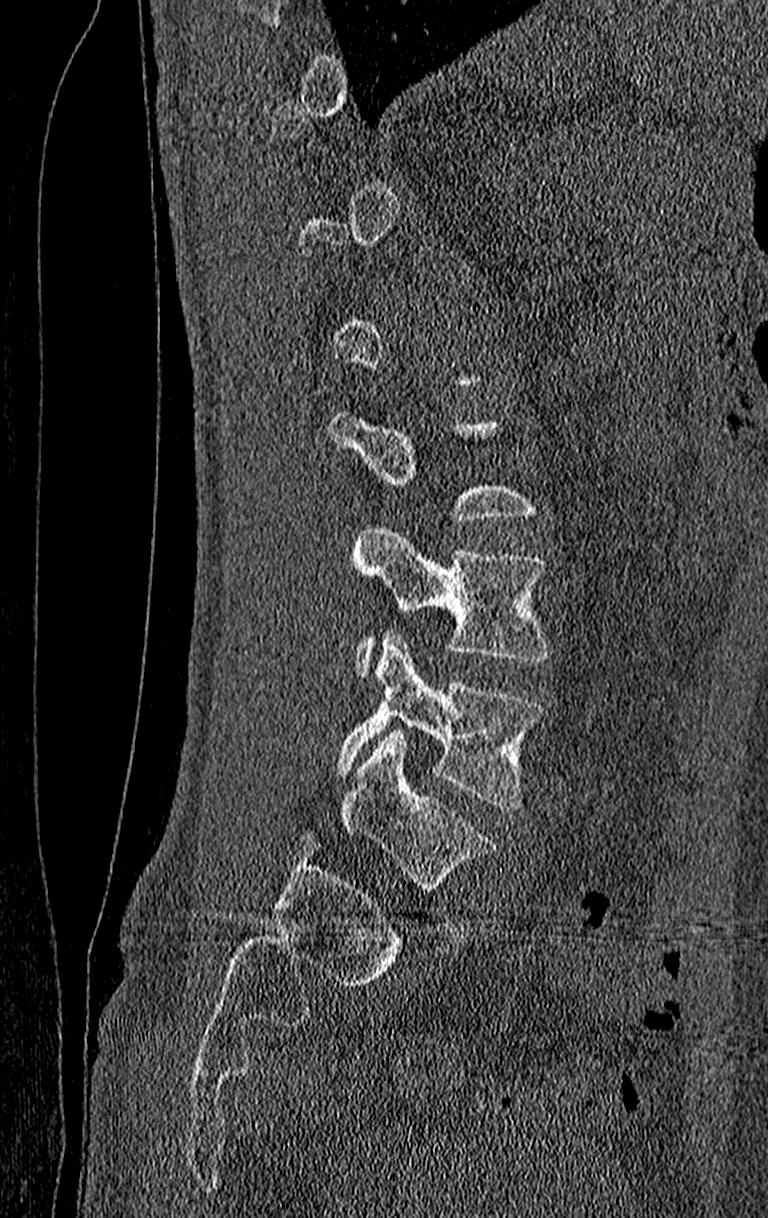

CT; sagittal view

Boxes: x1:y1:x2:y2 in pixels. A vertebra gets a box only on the slices from the first to the last where its cross-section is at least a third of its largest; on a slice outside that range it gets none. The highest labeled vertebra in this scan is T11; the lowest is L4. Vertebrae labeled: L4 at 335:630:543:809, L3 at 350:523:550:672.